Spine CT — sagittal reformat — a uniform gray block covers part of the image
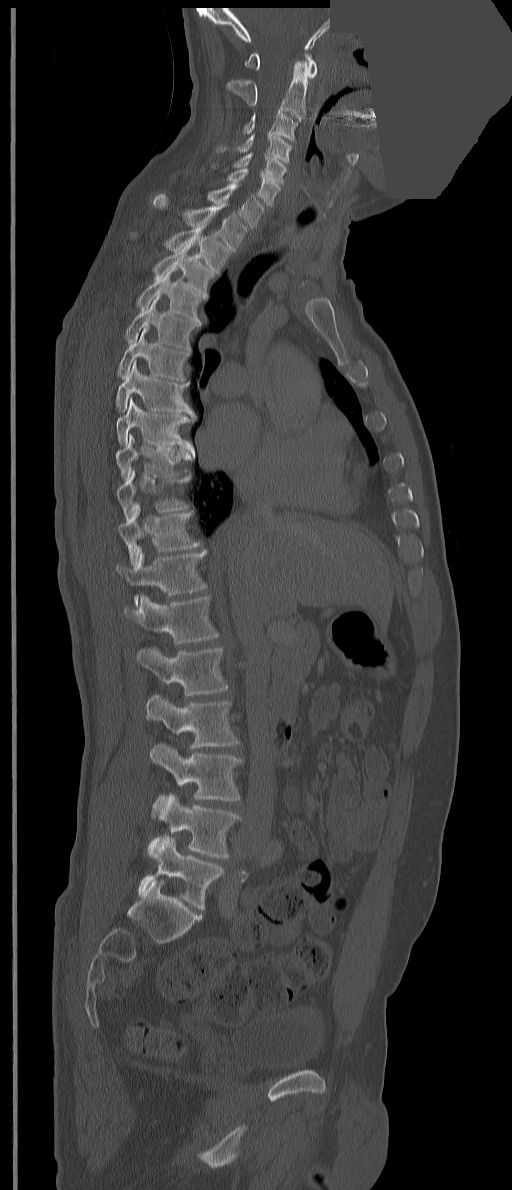

Boxes: x1 y1 x2 y2 (pixel coords, space-separated).
The labels name an extra thoracic vertebra here, T13, which comes after T12 and before L1.
Vertebra bounding boxes:
- C1: 245 53 317 78
- C2: 224 60 307 122
- C3: 242 111 297 141
- C4: 237 132 292 164
- C5: 233 152 286 184
- C6: 226 168 280 207
- C7: 207 183 264 228
- T1: 153 194 246 252
- T2: 165 223 231 273
- T3: 153 241 214 297
- T4: 136 266 205 324
- T5: 124 294 199 352
- T6: 117 328 189 381
- T7: 115 360 196 421
- T8: 117 398 195 458
- T9: 115 434 192 479
- T10: 117 470 191 520
- T11: 117 504 201 567
- T12: 115 550 206 608
- T13: 124 595 218 644
- L1: 136 646 228 696
- L2: 146 694 239 749
- L3: 149 744 241 800
- L4: 152 794 240 858
- L5: 138 836 224 909